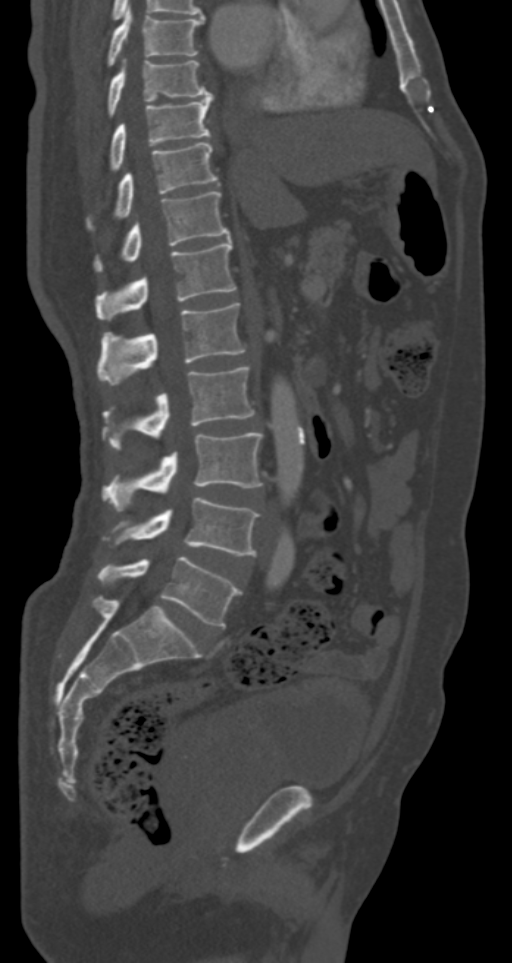

Spine CT · sagittal view
Box edges are left/top/right/bottom in pixels.
T7: left=107, top=9, right=204, bottom=66
T8: left=107, top=60, right=211, bottom=116
T9: left=108, top=94, right=213, bottom=171
T10: left=87, top=142, right=218, bottom=229
T11: left=92, top=191, right=231, bottom=271
T12: left=96, top=241, right=236, bottom=320
L1: left=98, top=303, right=245, bottom=384
L2: left=103, top=367, right=254, bottom=449
L3: left=103, top=433, right=263, bottom=511
L4: left=116, top=497, right=259, bottom=555
L5: left=98, top=556, right=241, bottom=627